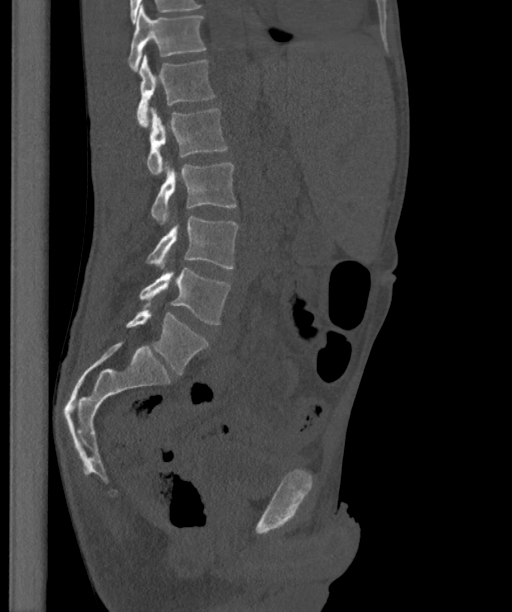 CT spine · sagittal reformat · 512x612 px
In the table, x1 and y1 are a box's top-left corner and x2 and y2 its bottom-right corner, in pixels.
In these labels the spine has an L6, a sixth lumbar vertebra below L5.
| vertebra | x1 | y1 | x2 | y2 |
|---|---|---|---|---|
| T12 | 128 | 4 | 206 | 71 |
| L1 | 136 | 55 | 215 | 127 |
| L2 | 146 | 107 | 227 | 175 |
| L3 | 151 | 162 | 236 | 226 |
| L4 | 146 | 216 | 237 | 268 |
| L5 | 139 | 268 | 230 | 324 |
| L6 | 126 | 310 | 208 | 373 |